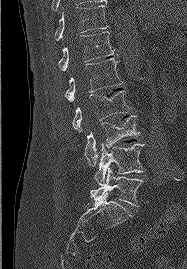

CT spine — sagittal view — 187x269 px. Coordinates as <box>x1,y1,x2,y2</box>.
L5: <box>90,168,142,206</box>
L4: <box>94,143,144,185</box>
L3: <box>84,115,140,166</box>
L2: <box>72,90,130,131</box>
L1: <box>65,58,123,101</box>
T12: <box>44,31,118,73</box>
T11: <box>54,5,108,40</box>